CT spine · sagittal view · Bone window (WL 400, WW 1800) · 795x993 px
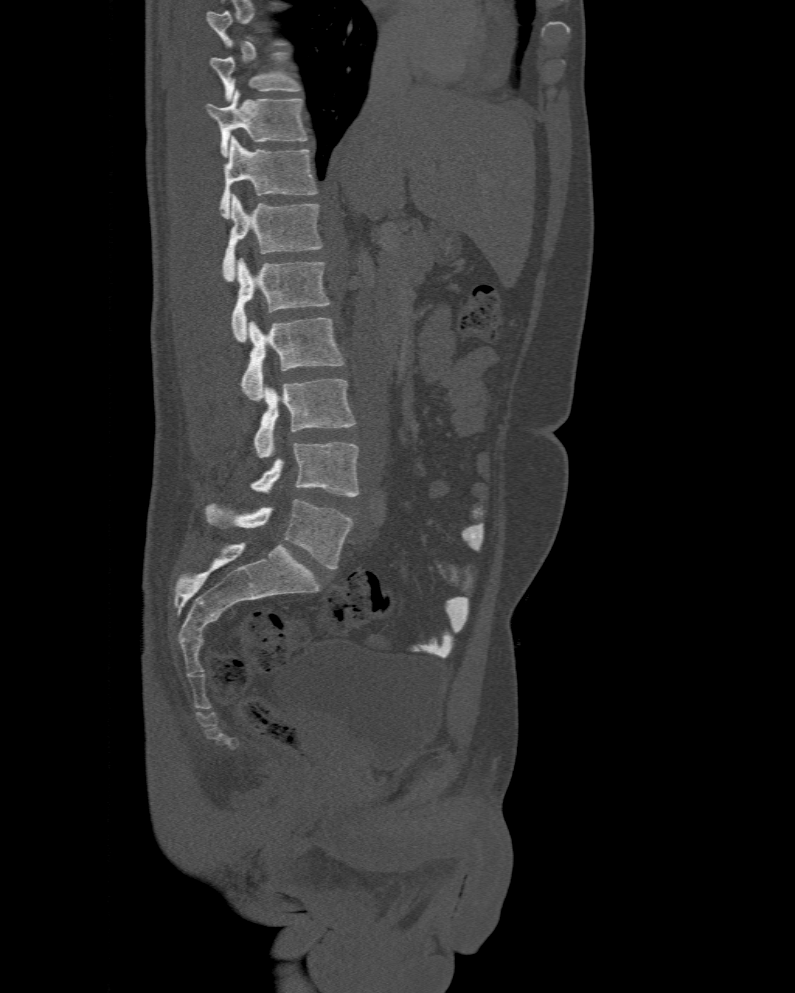
Each box is [x1, y1, x2, y2] in pixels: top-left corner, then bottom-right corner.
This scan's labels start at T10 at the top and end at L6 at the bottom.
In these labels the spine has an L6, a sixth lumbar vertebra below L5.
{"vertebrae":{"T10":[210,53,299,101],"T11":[205,90,308,156],"T12":[219,137,317,218],"L1":[220,194,322,281],"L2":[231,258,328,342],"L3":[241,318,344,401],"L4":[253,378,356,457],"L5":[252,442,359,496],"L6":[207,498,353,569]}}